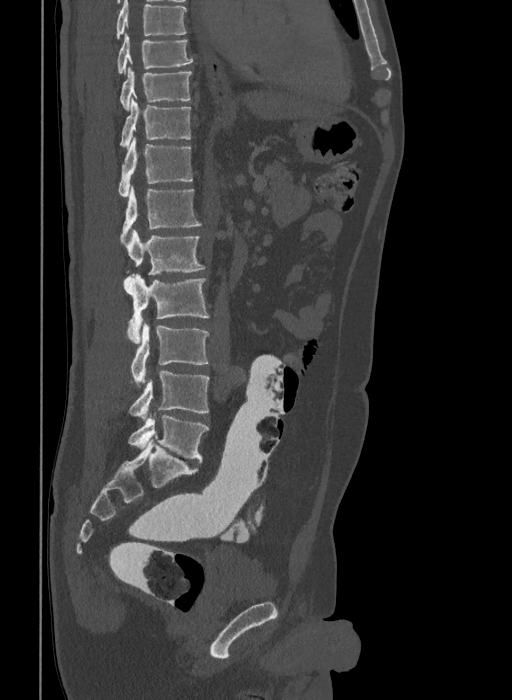 CT, spine; sagittal view; bone-window reconstruction; 512x700 px
Coordinates as <box>x1,y1,x2,y2</box>. The highest labeled vertebra in this scan is T9; the lowest is L6. These labels give the spine a sixth lumbar vertebra, L6, below L5. Vertebrae labeled: T9 at <box>116,34,193,73</box>, T10 at <box>120,68,192,111</box>, T11 at <box>120,98,190,148</box>, T12 at <box>118,136,193,197</box>, L1 at <box>120,185,202,242</box>, L2 at <box>125,230,204,274</box>, L3 at <box>123,274,209,343</box>, L4 at <box>131,322,209,385</box>, L5 at <box>129,371,209,419</box>, L6 at <box>128,415,208,462</box>.